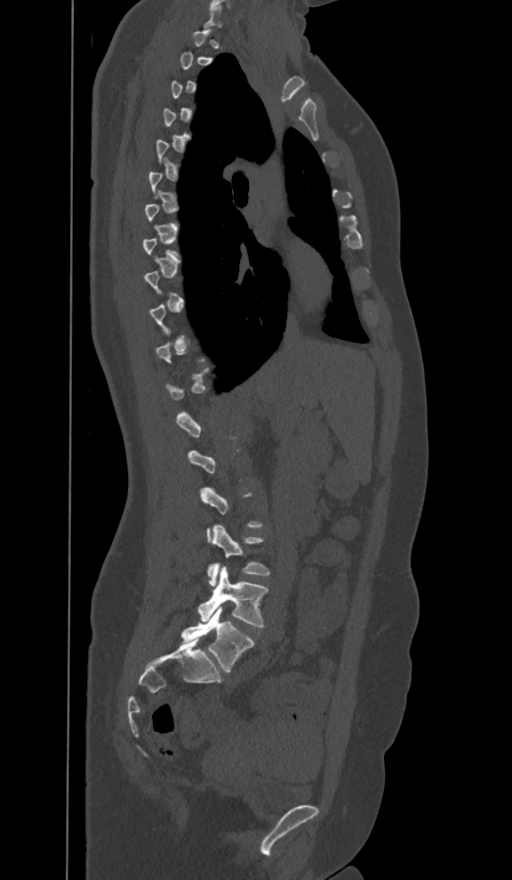
Spine computed tomography — sagittal reformat — bone-window reconstruction. Each row gives a vertebra's box as x1, y1, x2, y2 in pixels: top-left corner, then bottom-right corner.
A vertebra gets a box only on the slices from the first to the last where its cross-section is at least a third of its largest; on a slice outside that range it gets none.
The labels name a sixth lumbar vertebra for this spine: L6, after L5.
| vertebra | x1 | y1 | x2 | y2 |
|---|---|---|---|---|
| L6 | 181 | 606 | 253 | 672 |
| L5 | 198 | 567 | 267 | 627 |
| L4 | 208 | 525 | 270 | 585 |